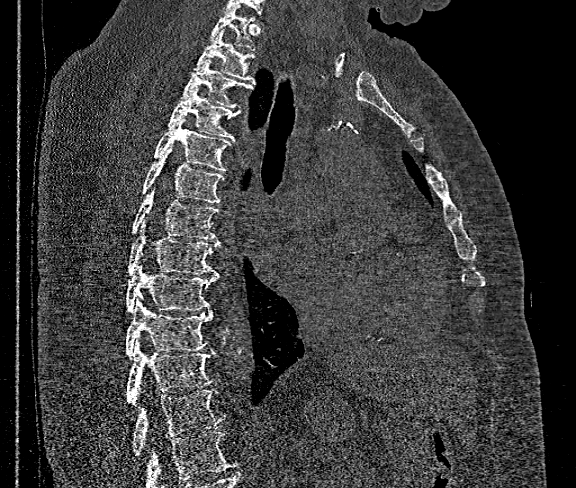
CT spine · sagittal view · W/L 1800/400 HU
Boxes are given in columns x1, y1, x2, y2, the pixel coordinates of their top-left and bottom-right corners.
Where the bottom of the scan cuts through a vertebra, that vertebra gets no label or box.
| vertebra | x1 | y1 | x2 | y2 |
|---|---|---|---|---|
| T12 | 133 | 389 | 226 | 455 |
| T11 | 126 | 340 | 213 | 404 |
| T10 | 125 | 298 | 213 | 358 |
| T9 | 126 | 263 | 218 | 313 |
| T8 | 128 | 220 | 219 | 275 |
| T7 | 130 | 187 | 218 | 239 |
| T6 | 141 | 148 | 224 | 203 |
| T5 | 150 | 117 | 231 | 171 |
| T4 | 166 | 87 | 241 | 140 |
| T3 | 182 | 59 | 254 | 110 |
| T2 | 193 | 29 | 254 | 81 |
| T1 | 209 | 7 | 254 | 51 |